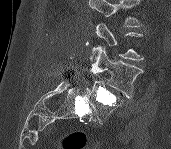
Spine computed tomography — sagittal view — 171 mm image width — W/L 1800/400 HU — 171x149 px
Each box given as x1,y1,x2,y2. Each vertebra is boxed only on the slices from the first to the last where its cross-section reaches a third of its largest, so a slice outside that range leaves it unboxed. Vertebrae labeled: L4 at x1=89, y1=46, x2=143, y2=98, L5 at x1=85, y1=81, x2=121, y2=123.